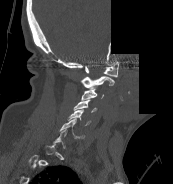

Spine computed tomography · sagittal view · 173 mm image width · bone window · 173x184 px · a portion of the image is blanked out (constant pixel value)
Each box given as x1,y1,x2,y2. Not every vertebra on this slice has a box: a vertebra is boxed only from the first to the last slice where its cross-section is at least a third of its largest, and this slice is outside that range for at least one of them. Vertebrae labeled: C1 at x1=85, y1=61, x2=119, y2=77, C2 at x1=81, y1=76, x2=114, y2=87, C3 at x1=81, y1=86, x2=103, y2=99, C4 at x1=73, y1=100, x2=97, y2=112, C5 at x1=67, y1=109, x2=91, y2=125, C6 at x1=59, y1=118, x2=84, y2=138.